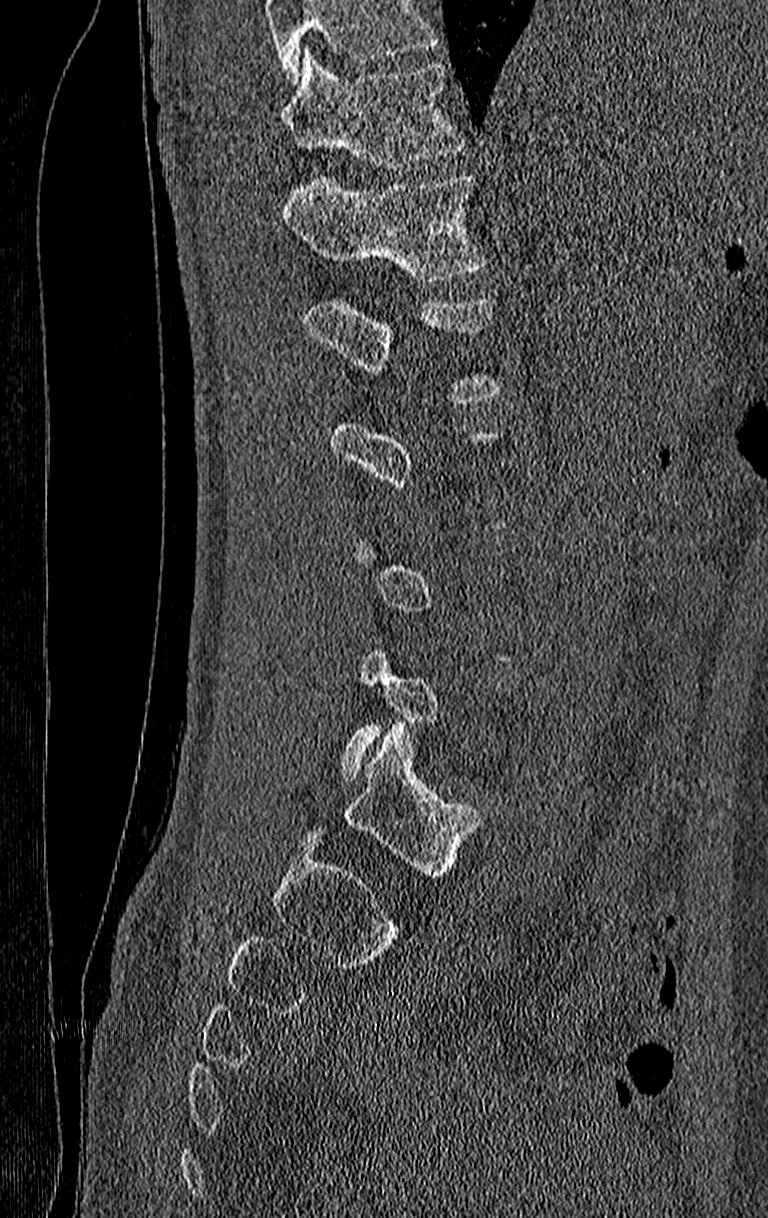

Computed tomography of the spine · sagittal reformat · bone window
Each vertebra maps to its box as [x1, y1, x2, y2], the pixel coordinates of its top-left and bottom-right corners.
A vertebra is boxed only from the first to the last slice where its cross-section is at least a third of its largest; slices outside that range leave it without a box.
Vertebrae that run past the top of the scan are left unlabeled.
{"vertebrae":{"L1":[302,298,502,402],"T12":[284,173,488,282],"T11":[280,48,466,169]}}